Spine computed tomography · sagittal view · Bone window (WL 400, WW 1800)
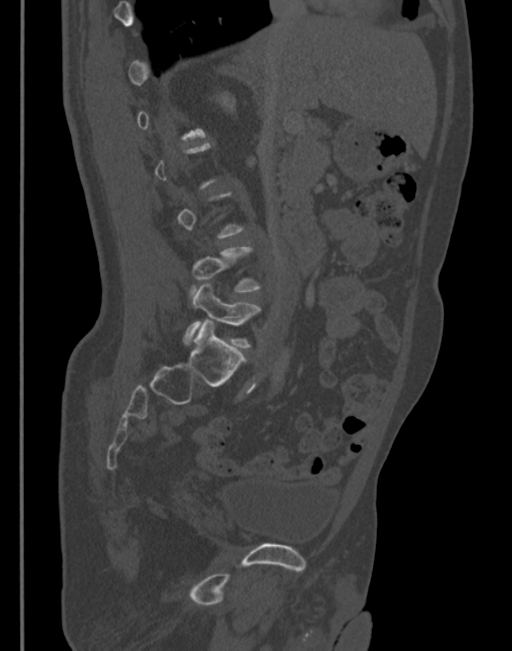

Coordinates as <box>x1,y1,x2,y2</box>.
Not every vertebra on this slice has a box: a vertebra is boxed only from the first to the last slice where its cross-section is at least a third of its largest, and this slice is outside that range for at least one of them.
L5: <box>184,283,260,347</box>
L4: <box>188,247,260,293</box>